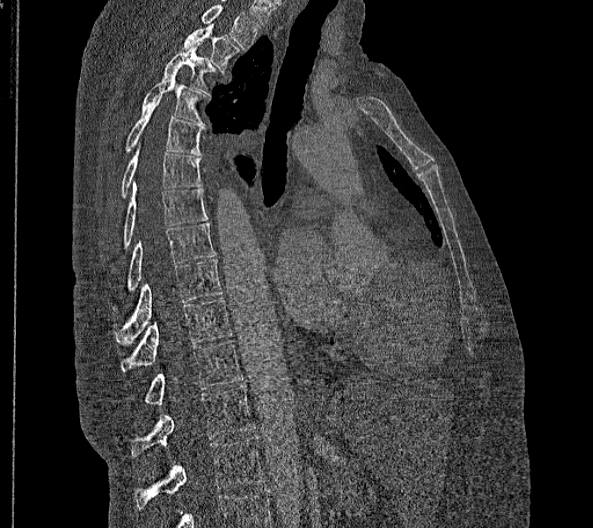
Spine CT; sagittal view; 356 mm wide; Bone window (WL 400, WW 1800); 593x528 px
Each box is [x1, y1, x2, y2] in pixels: top-left corner, then bottom-right corner.
The highest labeled vertebra in this scan is T2; the lowest is L2.
In these labels the thoracic vertebrae end at T11, so L1 follows T11.
{"vertebrae":{"L2":[134,437,266,511],"L1":[131,385,254,457],"T11":[145,340,242,406],"T10":[121,298,231,371],"T9":[116,259,221,345],"T8":[111,223,216,310],"T7":[108,184,208,268],"T6":[119,144,201,199],"T5":[125,97,201,155],"T4":[141,72,204,125],"T3":[162,43,217,97],"T2":[181,25,240,73]}}